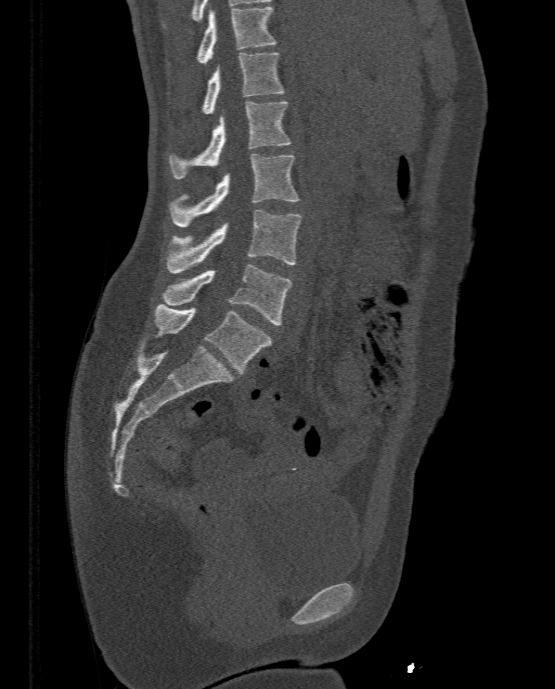 Computed tomography of the spine; sagittal view; bone-window reconstruction

Boxes are given in columns x1, y1, x2, y2, the pixel coordinates of their top-left and bottom-right corners.
| vertebra | x1 | y1 | x2 | y2 |
|---|---|---|---|---|
| L5 | 155 | 303 | 272 | 373 |
| L4 | 162 | 263 | 293 | 325 |
| L3 | 166 | 210 | 303 | 273 |
| L2 | 170 | 154 | 298 | 227 |
| L1 | 170 | 101 | 291 | 178 |
| T12 | 203 | 52 | 284 | 114 |
| T11 | 198 | 6 | 275 | 63 |